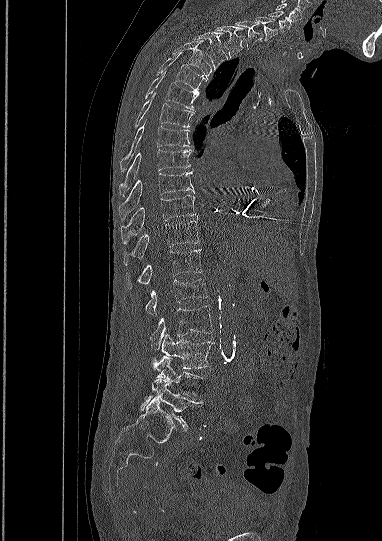 Spine computed tomography — sagittal view — bone window
Each vertebra maps to its box as [x1, y1, x2, y2], the pixel coordinates of its top-left and bottom-right corners.
The highest labeled vertebra in this scan is C5; the lowest is L5.
{"vertebrae":{"L5":[141,378,202,429],"L4":[152,355,201,399],"L3":[161,334,213,368],"L2":[150,305,212,349],"L1":[145,279,207,314],"T12":[126,249,202,289],"T11":[123,221,198,265],"T10":[121,195,195,243],"T9":[119,171,194,219],"T8":[119,149,191,195],"T7":[120,121,189,171],"T6":[135,92,193,127],"T5":[144,71,198,111],"T4":[157,55,206,92],"T3":[171,42,211,79],"T2":[192,32,227,69],"T1":[215,25,243,58],"C7":[236,20,263,48],"C6":[255,17,277,40],"C5":[267,11,291,31]}}